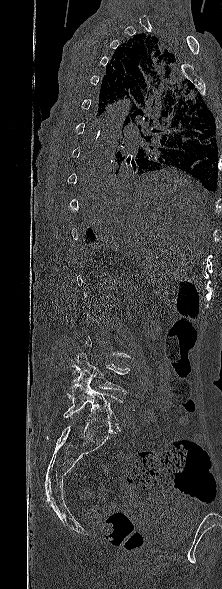 Computed tomography of the spine · sagittal view · 222 mm image width. Boxes are (x1, y1, x2, y2) in pixels.
Not every vertebra on this slice has a box: a vertebra is boxed only from the first to the last slice where its cross-section is at least a third of its largest, and this slice is outside that range for at least one of them.
Vertebra bounding boxes:
- L5: (63, 381, 122, 432)
- L4: (66, 353, 130, 402)